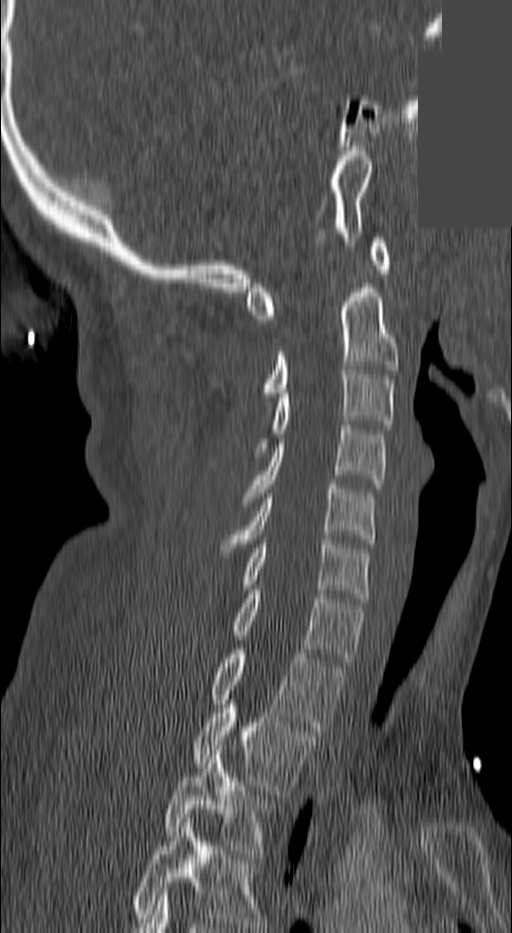

CT, spine; sagittal reformat; 140 mm across the image; W/L 1800/400 HU; a region is masked with a constant gray value
Coordinates as <box>x1,y1,x2,y2</box>.
In this scan, the topmost labeled vertebra is C1 and the lowest is T3.
Vertebra bounding boxes:
- C1: <box>246,238,388,319</box>
- C2: <box>261,283,399,401</box>
- C3: <box>250,366,395,456</box>
- C4: <box>242,425,384,502</box>
- C5: <box>221,485,373,552</box>
- C6: <box>243,539,370,602</box>
- C7: <box>232,590,362,666</box>
- T1: <box>210,649,344,730</box>
- T2: <box>192,704,315,794</box>
- T3: <box>162,750,275,858</box>